CT, spine — sagittal plane, index 264 — 17 vertebrae labeled in this scan
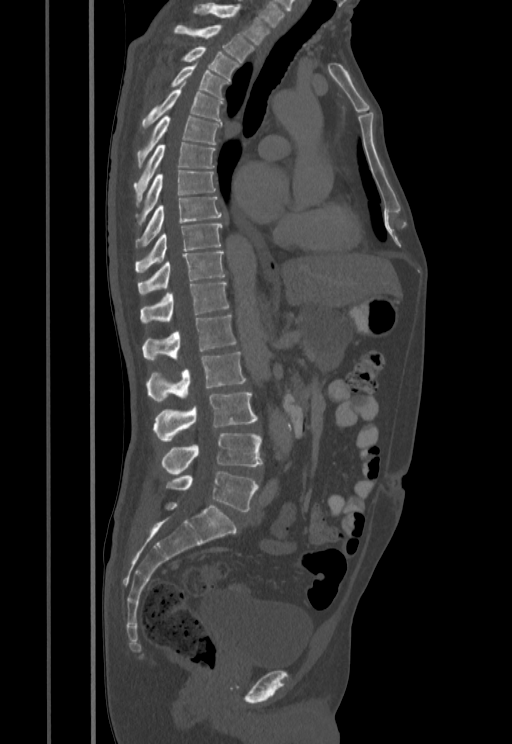

Boxes below are [x1, y1, x2, y2] in pixels.
{"vertebrae":{"L5":[166,471,258,511],"L4":[162,433,262,474],"L3":[153,392,257,441],"L2":[146,352,245,401],"L1":[142,314,235,360],"T12":[141,281,228,324],"T11":[137,252,224,294],"T10":[135,224,222,273],"T9":[135,196,222,248],"T8":[139,170,215,223],"T7":[134,142,215,206],"T6":[137,117,219,165],"T5":[142,89,224,127],"T4":[169,65,231,99],"T3":[180,46,240,79],"T2":[173,25,254,62],"T1":[193,3,270,44]}}